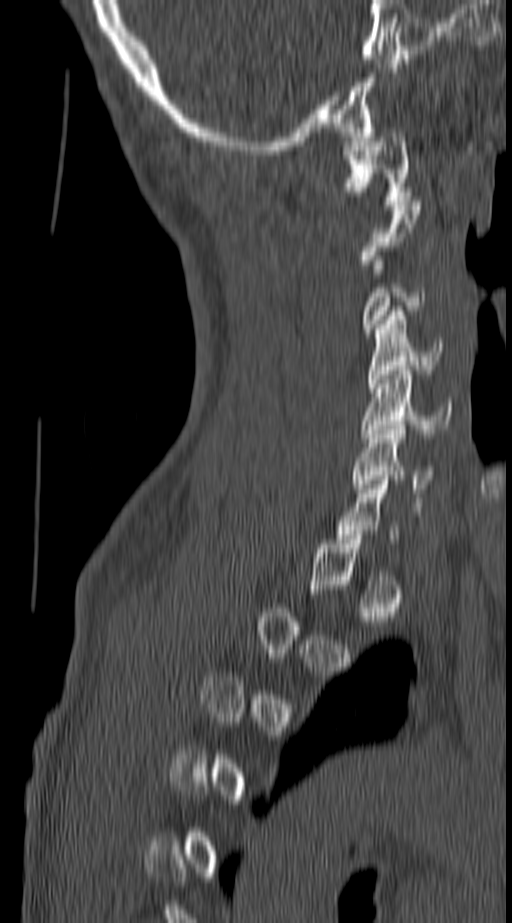
CT — sagittal view — 140 mm image width — Bone window (WL 400, WW 1800) — 512x923 px. Boxes: x1:y1:x2:y2 in pixels.
A vertebra is boxed only from the first to the last slice where its cross-section is at least a third of its largest; slices outside that range leave it without a box.
Vertebra bounding boxes:
- C1: 345:128:414:205
- C3: 362:261:424:333
- C4: 367:311:441:388
- C5: 361:370:451:442
- C6: 351:425:434:493